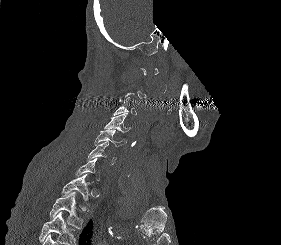
Spine CT · sagittal view · a region of this slice is masked with a uniform fill. Each box given as x1,y1,x2,y2. A vertebra is boxed only from the first to the last slice where its cross-section is at least a third of its largest; slices outside that range leave it without a box. Where the bottom of the scan cuts through a vertebra, that vertebra gets no label or box. 5 vertebrae labeled — C4 at x1=104, y1=112, x2=132, y2=132; C5 at x1=94, y1=130, x2=128, y2=146; C6 at x1=87, y1=141, x2=116, y2=164; T1 at x1=61, y1=174, x2=93, y2=204; T2 at x1=49, y1=191, x2=83, y2=228.